Spine computed tomography. sagittal plane, index 309
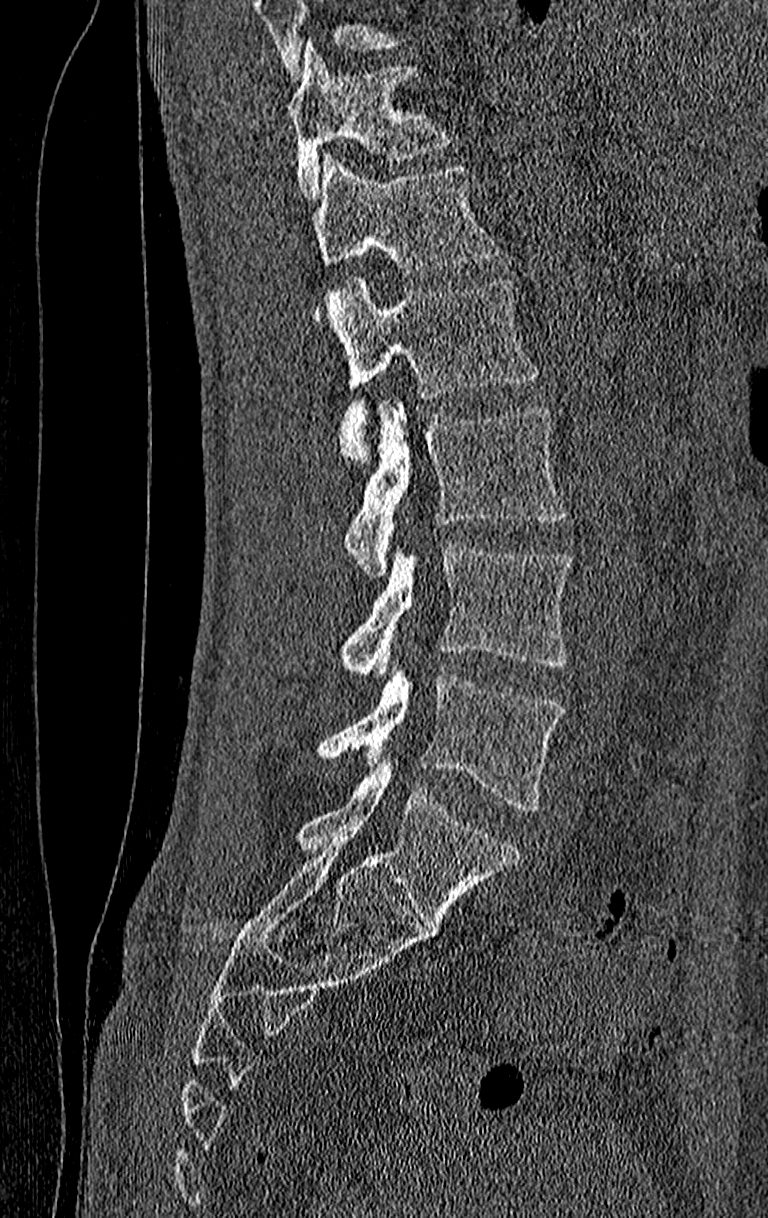 Coordinates as <box>x1,y1,x2,y2</box>.
Where the top of the scan cuts through a vertebra, that vertebra gets no label or box.
Labels in this scan begin with T11 at the top and end with L4 at the bottom.
Vertebra bounding boxes:
- T11: <box>288,44,458,201</box>
- T12: <box>313,155,502,274</box>
- L1: <box>328,275,539,465</box>
- L2: <box>342,406,565,573</box>
- L3: <box>339,546,572,677</box>
- L4: <box>317,673,565,812</box>